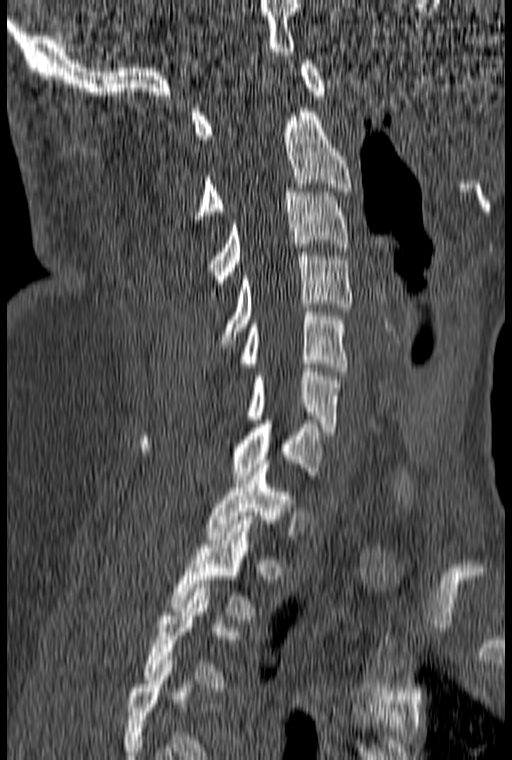

CT spine · sagittal view · 512x760 px · the image is 160 mm wide

Boxes: x1:y1:x2:y2 in pixels.
Each vertebra is boxed only on the slices from the first to the last where its cross-section reaches a third of its largest, so a slice outside that range leaves it unboxed.
Vertebra bounding boxes:
- C1: 191:60:326:139
- C2: 192:108:350:223
- C3: 206:188:349:299
- C4: 220:252:352:347
- C5: 240:308:347:371
- C6: 246:368:339:431
- C7: 139:420:323:479
- T1: 206:464:292:539
- T2: 169:520:253:619